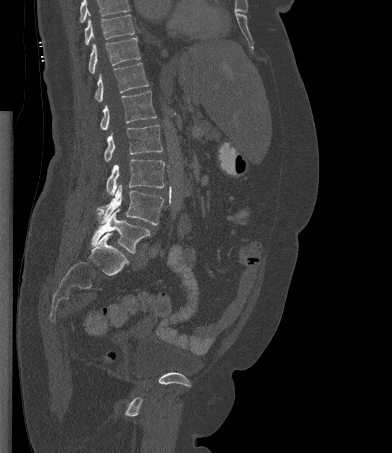
Spine CT; sagittal view; bone window; 392x453 px

Each box given as x1,y1,x2,y2. A vertebra cut off by the top edge of the scan is not labeled and has no box. The labeled vertebrae in this slice are: T10 at x1=84, y1=14, x2=134, y2=45, T11 at x1=88, y1=37, x2=140, y2=73, T12 at x1=95, y1=62, x2=148, y2=102, L1 at x1=100, y1=91, x2=156, y2=130, L2 at x1=104, y1=125, x2=162, y2=161, L3 at x1=106, y1=159, x2=164, y2=195, L4 at x1=97, y1=184, x2=163, y2=225, L5 at x1=91, y1=209, x2=150, y2=253.